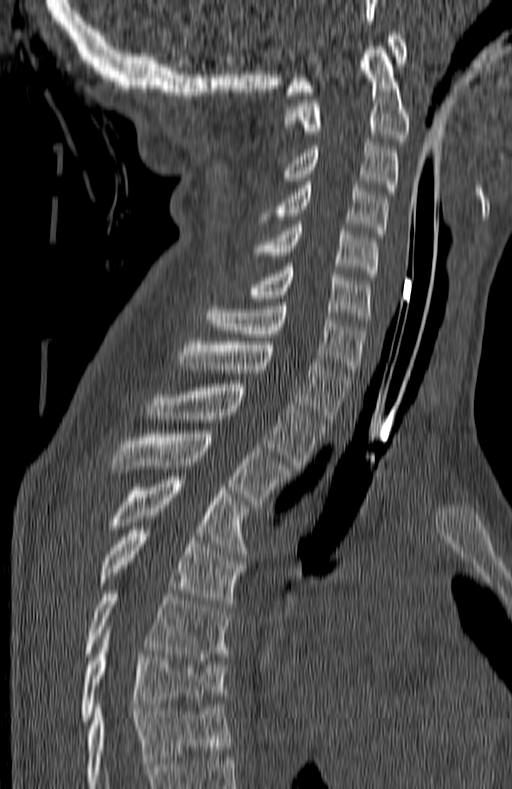

Computed tomography of the spine — sagittal reformat — the image spans 180 mm across. Boxes are (x1, y1, x2, y2) in pixels.
Labels in this scan begin with C1 at the top and end with T7 at the bottom.
T7: (81, 640, 225, 724)
T6: (86, 590, 230, 660)
T5: (100, 526, 245, 607)
T4: (112, 476, 247, 554)
T3: (109, 430, 290, 507)
T2: (149, 384, 324, 468)
T1: (180, 341, 350, 422)
C7: (206, 302, 364, 372)
C6: (248, 267, 370, 323)
C5: (254, 224, 378, 276)
C4: (260, 185, 387, 234)
C3: (279, 142, 398, 195)
C2: (285, 43, 410, 141)
C1: (285, 32, 407, 95)